CT, spine — Sagittal slice 55/127 — bone-window reconstruction — 482 mm image width — 616x616 px
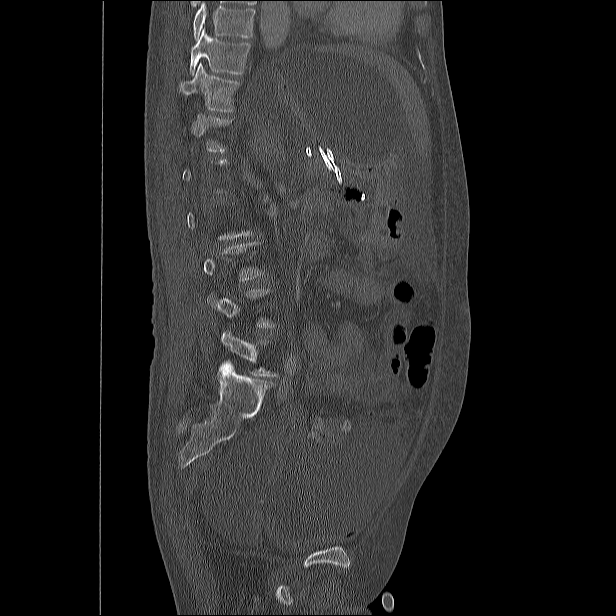

Bounding boxes as [x1, y1, x2, y2] in pixel coordinates. A vertebra gets a box only on the slices from the first to the last where its cross-section is at least a third of its largest; on a slice outside that range it gets none. Vertebrae that run past the top of the scan are left unlabeled. The labeled vertebrae in this slice are: T10 at [189, 29, 251, 74], T11 at [179, 62, 239, 111], L5 at [221, 331, 278, 376].